CT, spine; Sagittal slice 235/512; 17 vertebrae labeled in this scan
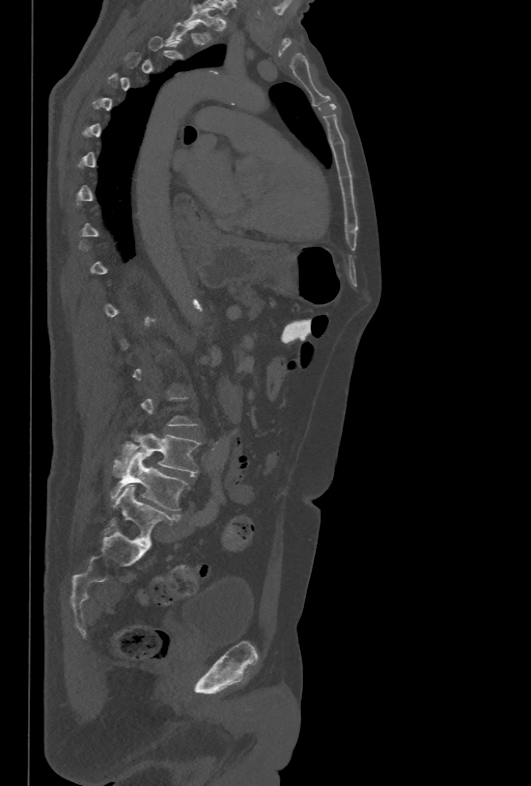

Coordinates as <box>x1,y1,x2,y2</box>. Not every vertebra on this slice has a box: a vertebra is boxed only from the first to the last slice where its cross-section is at least a third of its largest, and this slice is outside that range for at least one of them. Vertebrae labeled: T1 at <box>185,9,215,39</box>, L4 at <box>112,434,200,476</box>, L5 at <box>110,454,189,511</box>.